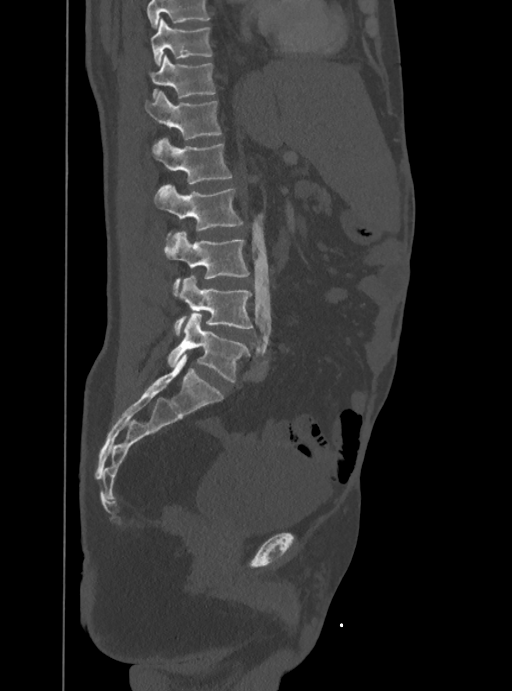
Computed tomography of the spine · sagittal view · W/L 1800/400 HU
Boxes: x1 y1 x2 y2 (pixel coords, space-separated). A vertebra cut off by the top edge of the scan is not labeled and has no box. 8 vertebrae labeled — T10 at 150 18 211 64; T11 at 149 56 215 98; T12 at 145 91 221 140; L1 at 153 139 231 183; L2 at 154 184 242 239; L3 at 163 232 248 295; L4 at 174 276 253 334; L5 at 167 314 247 381.